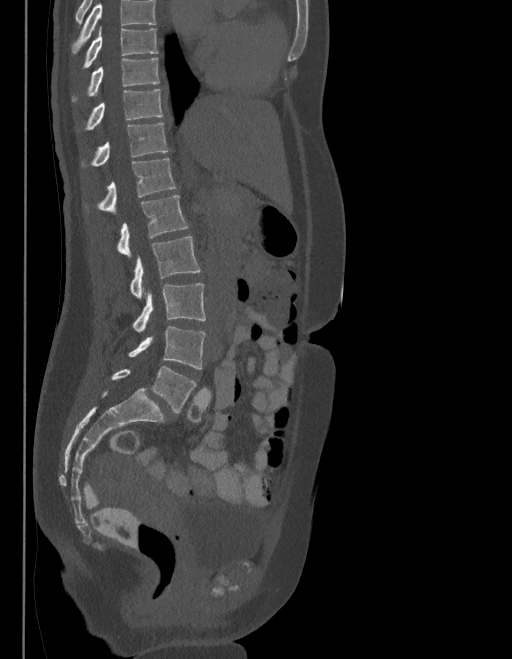
Spine computed tomography. 403 mm across the image. sagittal view. 512x659 px. Boxes: x1:y1:x2:y2 in pixels.
Where the top of the scan cuts through a vertebra, that vertebra gets no label or box.
The labels name a sixth lumbar vertebra for this spine: L6, after L5.
Vertebra bounding boxes:
- T9: 82:29:156:69
- T10: 72:58:159:103
- T11: 77:89:161:132
- T12: 81:122:168:167
- L1: 85:158:175:212
- L2: 117:196:188:256
- L3: 129:236:200:299
- L4: 132:282:205:332
- L5: 128:326:205:369
- L6: 112:367:196:413